Spine CT · Sagittal slice 217/512 · bone-window reconstruction · 512x933 px · scan covers 10 annotated vertebrae · some of the image was removed or blocked out with constant pixels
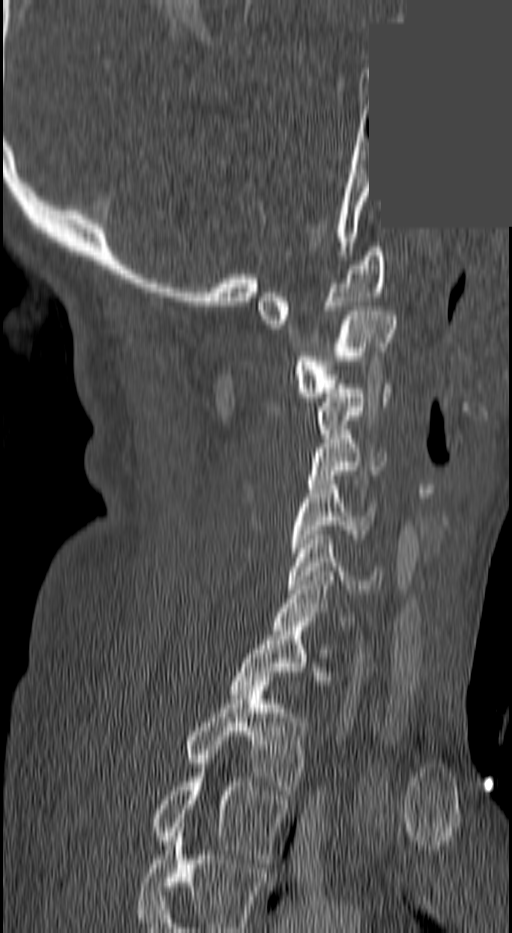
Boxes: x1:y1:x2:y2 in pixels.
A vertebra gets a box only on the slices from the first to the last where its cross-section is at least a third of its largest; on a slice outside that range it gets none.
This scan's labels start at C1 at the top and end at T3 at the bottom.
T3: 155:768:286:863
T2: 188:681:308:794
C7: 276:576:350:630
C6: 290:535:381:593
C5: 289:480:376:552
C4: 308:434:385:484
C3: 317:384:394:442
C2: 294:311:395:397
C1: 257:247:384:324